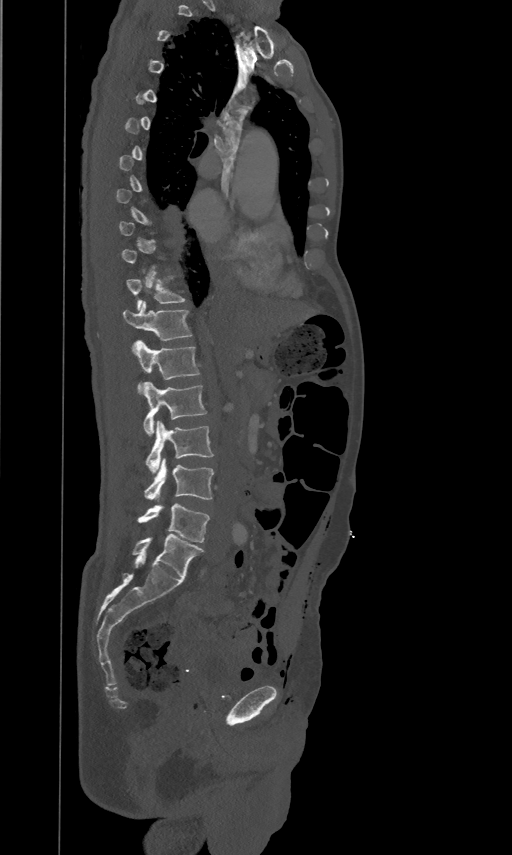

Spine CT — sagittal view
Boxes below are [x1, y1, x2, y2] in pixels.
Each vertebra is boxed only on the slices from the first to the last where its cross-section reaches a third of its largest, so a slice outside that range leaves it unboxed.
{"vertebrae":{"T11":[127,275,185,310],"T12":[123,301,191,340],"L1":[133,340,199,392],"L2":[143,381,206,435],"L3":[145,420,213,473],"L4":[144,458,213,500],"L5":[136,504,209,542]}}